Computed tomography of the spine. sagittal view. scan covers 16 annotated vertebrae
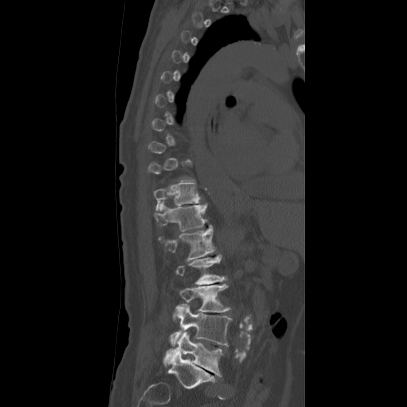 Box edges are left/top/right/bottom in pixels.
A vertebra gets a box only on the slices from the first to the last where its cross-section is at least a third of its largest; on a slice outside that range it gets none.
Vertebra bounding boxes:
- L5: left=164, top=332, right=222, bottom=377
- L4: left=169, top=304, right=231, bottom=346
- L3: left=173, top=283, right=229, bottom=321
- L2: left=175, top=255, right=226, bottom=284
- L1: left=158, top=226, right=215, bottom=260
- T12: left=153, top=202, right=207, bottom=231
- T11: left=152, top=183, right=199, bottom=210